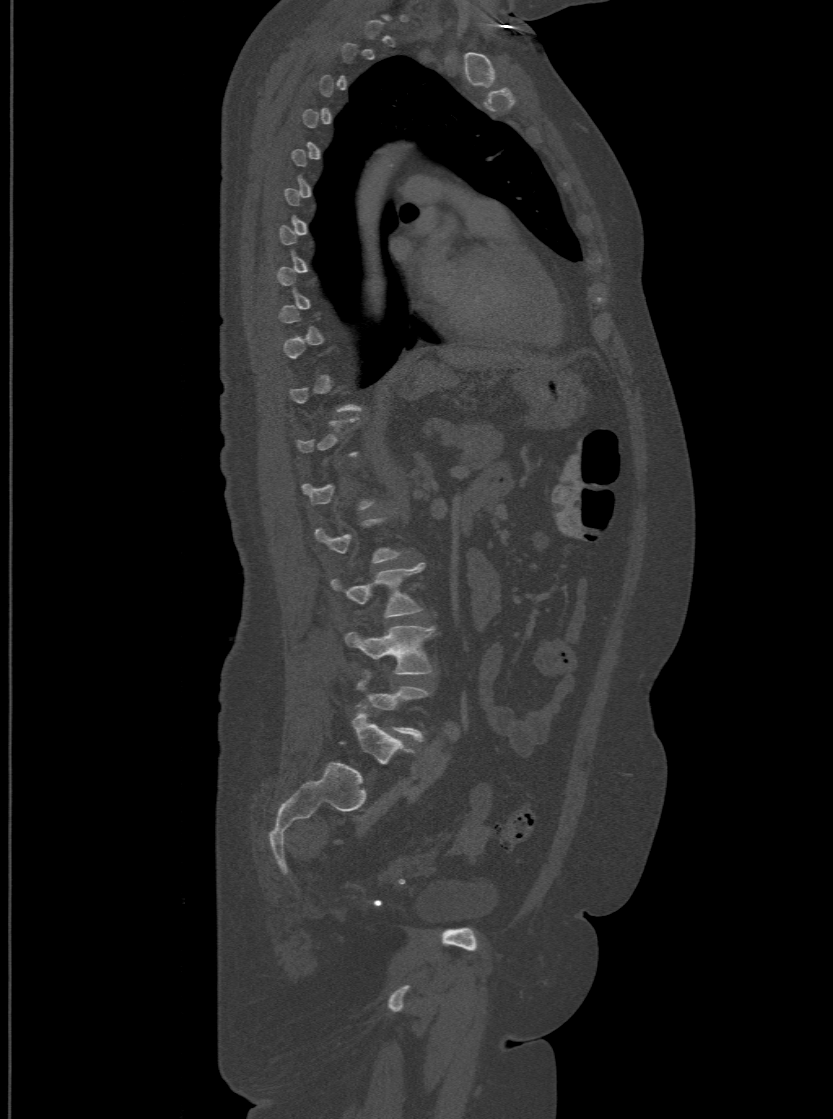

CT spine. sagittal view. bone-window reconstruction. 833x1119 px
Each box is [x1, y1, x2, y2] in pixels: top-left corner, then bottom-right corner.
Each vertebra is boxed only on the slices from the first to the last where its cross-section reaches a third of its largest, so a slice outside that range leaves it unboxed.
In these labels the spine has an L6, a sixth lumbar vertebra below L5.
{"vertebrae":{"L3":[332,563,424,617],"L4":[345,626,434,673],"L6":[352,709,412,763]}}